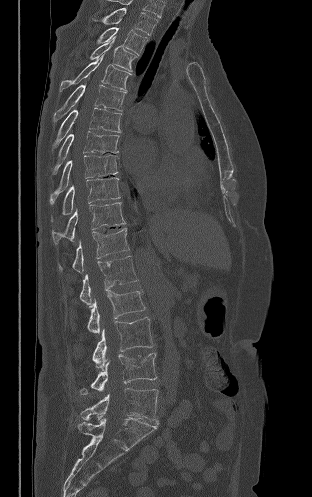 CT spine. sagittal view. W/L 1800/400 HU. 312x497 px
<vertebrae><v name="T2" x1="92" y1="8" x2="158" y2="35"/><v name="T3" x1="97" y1="27" x2="147" y2="55"/><v name="T4" x1="90" y1="36" x2="136" y2="71"/><v name="T5" x1="60" y1="53" x2="130" y2="91"/><v name="T6" x1="53" y1="85" x2="126" y2="121"/><v name="T7" x1="53" y1="107" x2="121" y2="147"/><v name="T8" x1="53" y1="131" x2="119" y2="173"/><v name="T9" x1="50" y1="155" x2="118" y2="204"/><v name="T10" x1="52" y1="177" x2="120" y2="220"/><v name="T11" x1="52" y1="202" x2="125" y2="243"/><v name="T12" x1="59" y1="228" x2="129" y2="272"/><v name="L1" x1="80" y1="256" x2="138" y2="304"/><v name="L2" x1="87" y1="290" x2="145" y2="333"/><v name="L3" x1="92" y1="317" x2="153" y2="368"/><v name="L4" x1="80" y1="353" x2="156" y2="394"/><v name="L5" x1="80" y1="388" x2="158" y2="423"/></vertebrae>